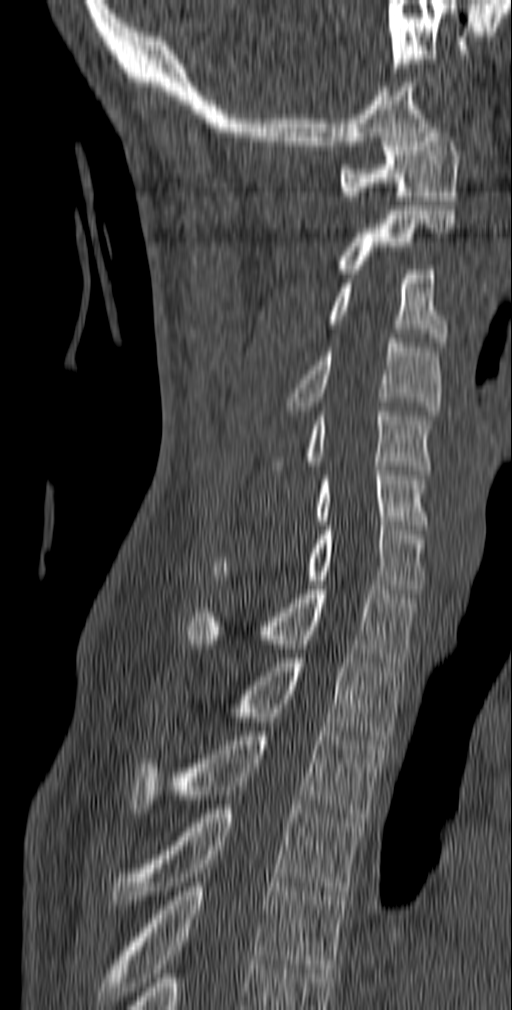 Spine CT — sagittal reformat — Bone window (WL 400, WW 1800)
Boxes are given in columns x1, y1, x2, y2, the pixel coordinates of their top-left and bottom-right corners.
| vertebra | x1 | y1 | x2 | y2 |
|---|---|---|---|---|
| C1 | 338 | 128 | 460 | 200 |
| C2 | 334 | 210 | 455 | 273 |
| C3 | 323 | 270 | 448 | 346 |
| C4 | 286 | 334 | 443 | 415 |
| C5 | 271 | 407 | 432 | 474 |
| C6 | 314 | 466 | 428 | 525 |
| C7 | 212 | 521 | 425 | 593 |
| T1 | 186 | 585 | 418 | 666 |
| T2 | 222 | 658 | 405 | 740 |
| T3 | 131 | 731 | 386 | 822 |
| T4 | 111 | 805 | 362 | 904 |
| T5 | 98 | 878 | 344 | 1005 |